CT. sagittal plane, index 256. bone-window reconstruction. 512x760 px. scan covers 10 annotated vertebrae. 160 mm across the image
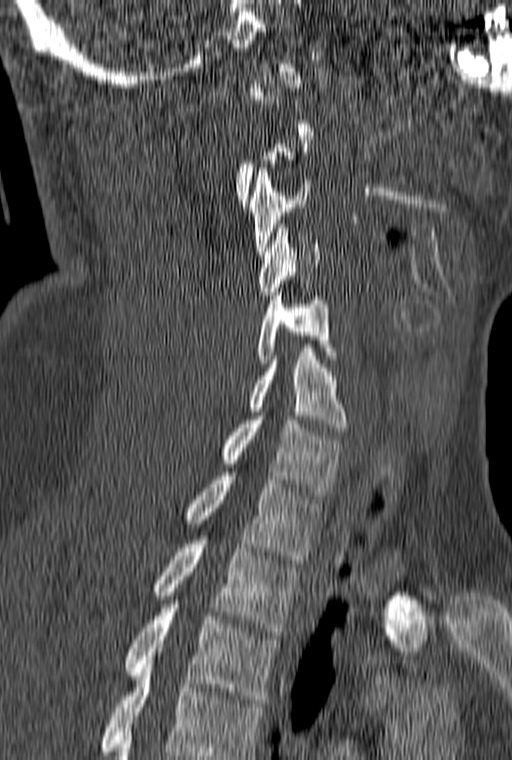
Box edges are left/top/right/bottom in pixels.
A vertebra is boxed only from the first to the last slice where its cross-section is at least a third of its largest; slices outside that range leave it without a box.
The highest labeled vertebra in this scan is C1; the lowest is T3.
| vertebra | x1 | y1 | x2 | y2 |
|---|---|---|---|---|
| T3 | 126 | 604 | 279 | 703 |
| T2 | 155 | 536 | 298 | 635 |
| T1 | 185 | 472 | 321 | 563 |
| C7 | 221 | 412 | 343 | 495 |
| C6 | 248 | 348 | 346 | 431 |
| C5 | 257 | 292 | 337 | 367 |
| C4 | 258 | 224 | 320 | 295 |
| C3 | 249 | 168 | 311 | 255 |